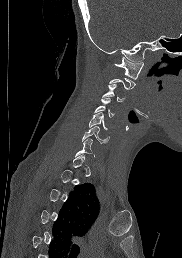
CT, spine; sagittal view; Bone window (WL 400, WW 1800); 182 mm across the image

Box values are [left, top, right, bottom] in pixels.
A vertebra is boxed only from the first to the last slice where its cross-section is at least a third of its largest; slices outside that range leave it without a box.
{"vertebrae":{"C1":[115,57,143,79],"C3":[102,84,124,102],"C4":[94,98,114,117],"C5":[89,112,108,129],"C6":[79,126,110,143]}}